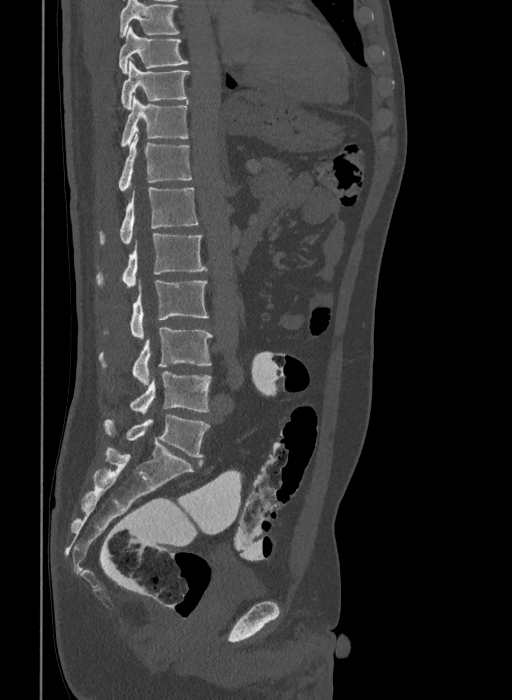

Spine CT. sagittal view. bone-window reconstruction. 512x700 px. Box edges are left/top/right/bottom in pixels.
This scan's labels start at T9 at the top and end at L6 at the bottom.
The labels name a sixth lumbar vertebra for this spine: L6, after L5.
T9: left=119, top=26, right=189, bottom=73
T10: left=120, top=61, right=189, bottom=109
T11: left=120, top=97, right=188, bottom=147
T12: left=118, top=133, right=192, bottom=191
L1: left=99, top=188, right=198, bottom=246
L2: left=95, top=233, right=207, bottom=289
L3: left=103, top=281, right=209, bottom=338
L4: left=99, top=327, right=212, bottom=384
L5: left=129, top=371, right=212, bottom=412
L6: left=104, top=415, right=209, bottom=458